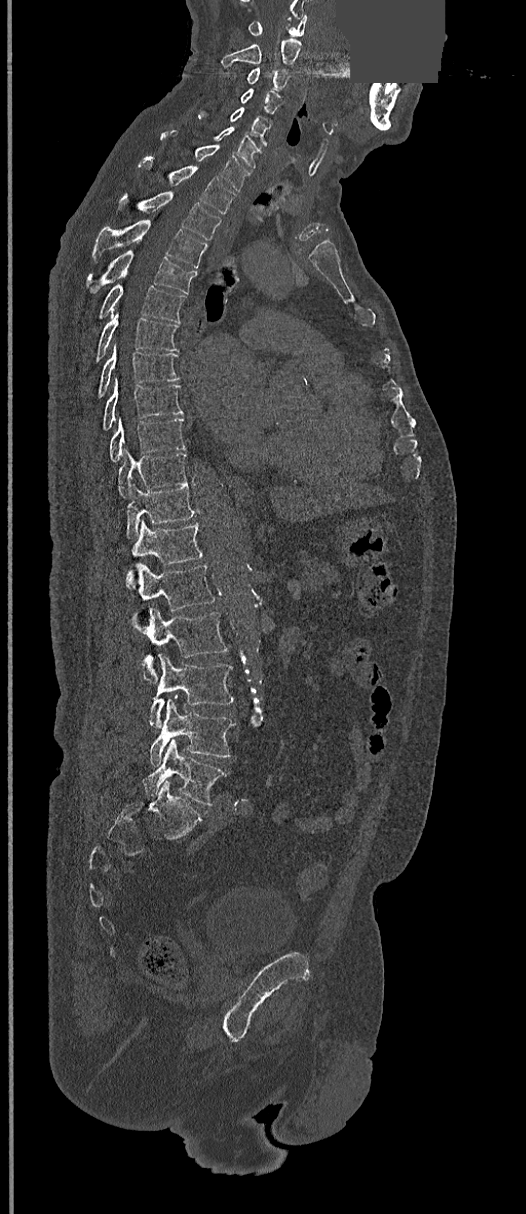 CT, spine — sagittal view — Bone window (WL 400, WW 1800) — an area of the scan was removed and filled with constant pixels. Each box given as x1,y1,x2,y2.
| vertebra | x1 | y1 | x2 | y2 |
|---|---|---|---|---|
| L5 | 143 | 739 | 227 | 805 |
| L4 | 150 | 698 | 234 | 766 |
| L3 | 148 | 653 | 233 | 728 |
| L2 | 143 | 609 | 227 | 682 |
| L1 | 135 | 564 | 215 | 619 |
| T12 | 125 | 520 | 203 | 588 |
| T11 | 125 | 483 | 194 | 538 |
| T10 | 118 | 449 | 187 | 498 |
| T9 | 109 | 417 | 186 | 462 |
| T8 | 102 | 377 | 183 | 430 |
| T7 | 97 | 344 | 180 | 399 |
| T6 | 95 | 314 | 179 | 363 |
| T5 | 97 | 284 | 186 | 322 |
| T4 | 85 | 250 | 196 | 293 |
| T3 | 92 | 220 | 207 | 268 |
| T2 | 118 | 191 | 220 | 240 |
| T1 | 139 | 161 | 234 | 213 |
| C7 | 161 | 133 | 249 | 192 |
| C6 | 214 | 126 | 260 | 169 |
| C5 | 197 | 107 | 270 | 145 |
| C4 | 240 | 89 | 281 | 113 |
| C3 | 246 | 67 | 289 | 96 |
| C2 | 221 | 39 | 302 | 66 |
| C1 | 248 | 14 | 307 | 36 |